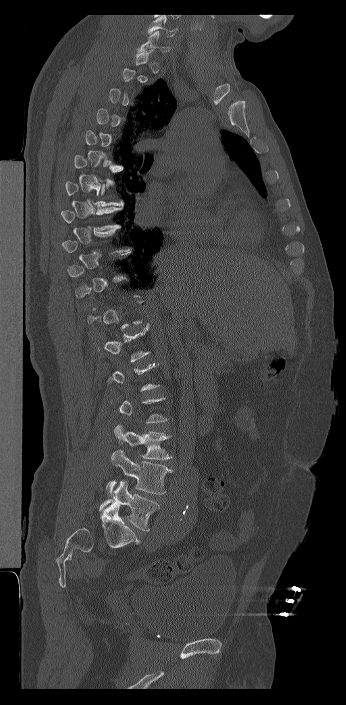 CT. sagittal view

Each box is [x1, y1, x2, y2] in pixels: top-left corner, then bottom-right corner.
A vertebra is boxed only from the first to the last slice where its cross-section is at least a third of its largest; slices outside that range leave it without a box.
In this scan, the topmost labeled vertebra is C7 and the lowest is L6.
In these labels the spine has an L6, a sixth lumbar vertebra below L5.
{"vertebrae":{"C7":[137,31,169,52],"T8":[60,207,122,231],"L4":[114,424,172,459],"L5":[106,450,173,494],"L6":[99,480,159,531]}}